CT · sagittal view · bone-window reconstruction
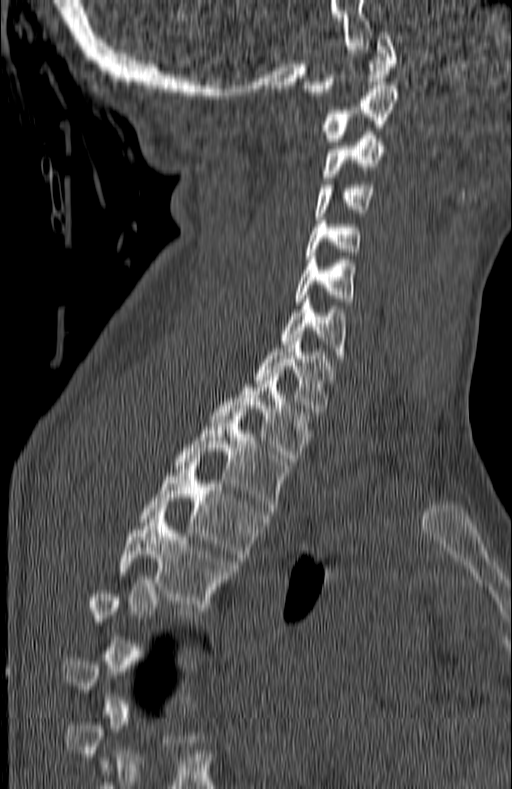

Each box is [x1, y1, x2, y2] in pixels: top-left corner, then bottom-right corner.
Not every vertebra on this slice has a box: a vertebra is boxed only from the first to the last slice where its cross-section is at least a third of its largest, and this slice is outside that range for at least one of them.
{"vertebrae":{"C1":[303,32,398,95],"C2":[322,85,398,141],"C3":[322,132,385,180],"C4":[317,185,376,216],"C5":[305,217,361,259],"C6":[294,256,353,305],"C7":[280,299,347,362],"T1":[254,334,336,419],"T2":[211,373,310,461],"T3":[174,412,290,511],"T4":[140,459,267,561],"T5":[118,512,236,611]}}